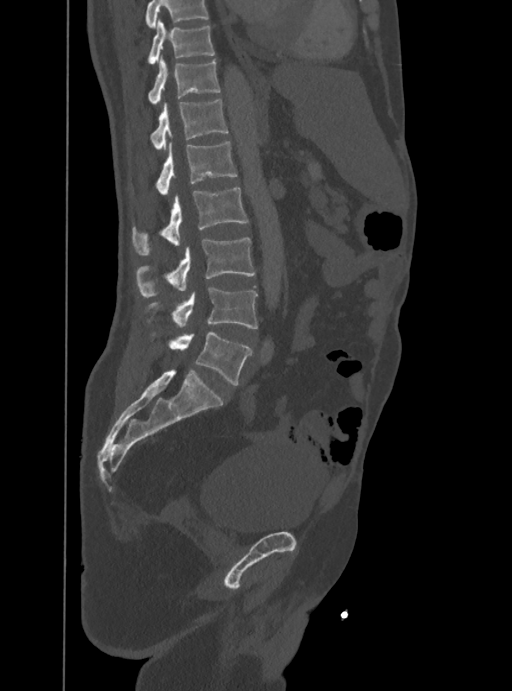
Computed tomography of the spine. sagittal view. Bone window (WL 400, WW 1800)
Each box is [x1, y1, x2, y2] in pixels: top-left corner, then bottom-right corner.
Vertebrae that run past the top of the scan are left unlabeled.
{"vertebrae":{"T10":[148,20,214,63],"T11":[148,58,221,105],"T12":[150,99,228,150],"L1":[156,141,236,194],"L2":[132,188,248,254],"L3":[136,238,255,297],"L4":[145,287,257,329],"L5":[152,333,251,385]}}